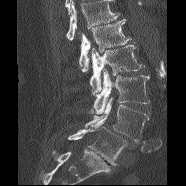 CT. sagittal view. bone window. 186x186 px. the image is 186 mm wide. Boxes: x1 y1 x2 y2 (pixel coords, space-separated).
Where the top of the scan cuts through a vertebra, that vertebra gets no label or box.
L1: 79 19 130 71
L2: 89 44 144 95
L3: 89 69 149 114
L4: 84 97 149 141
L5: 68 126 126 165